CT, spine · sagittal reformat · 512x612 px
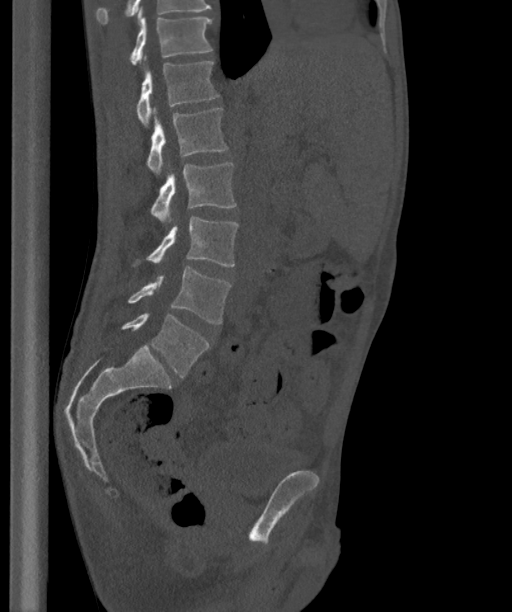

Box edges are left/top/right/bottom in pixels. The labels name a sixth lumbar vertebra for this spine: L6, after L5. 7 vertebrae labeled — T12 at left=130, top=6, right=212, bottom=65; L1 at left=137, top=56, right=219, bottom=126; L2 at left=146, top=108, right=227, bottom=174; L3 at left=151, top=162, right=236, bottom=222; L4 at left=135, top=217, right=239, bottom=267; L5 at left=127, top=267, right=230, bottom=323; L6 at left=121, top=312, right=209, bottom=377.